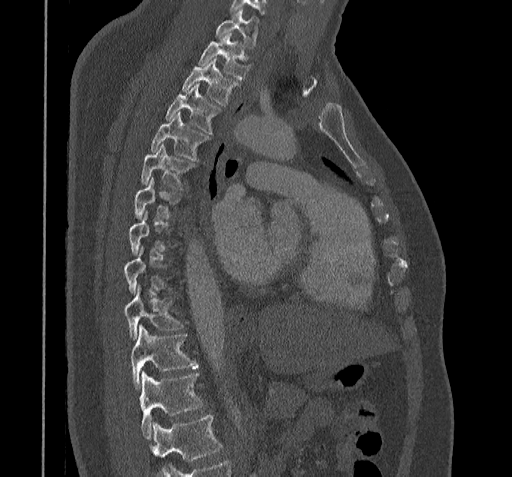
Spine computed tomography; sagittal view; Bone window (WL 400, WW 1800)
Box edges are left/top/right/bottom in pixels. Not every vertebra on this slice has a box: a vertebra is boxed only from the first to the last slice where its cross-section is at least a third of its largest, and this slice is outside that range for at least one of them. Where the bottom of the scan cuts through a vertebra, that vertebra gets no label or box. The labeled vertebrae in this slice are: C7 at left=215, top=9, right=258, bottom=46, T1 at left=198, top=33, right=248, bottom=79, T2 at left=183, top=59, right=237, bottom=105, T3 at left=165, top=84, right=218, bottom=134, T4 at left=151, top=113, right=207, bottom=159, T5 at left=141, top=145, right=196, bottom=188, T6 at left=135, top=179, right=179, bottom=218, T9 at left=124, top=286, right=182, bottom=338, T10 at left=130, top=325, right=197, bottom=388, T11 at left=140, top=372, right=202, bottom=438.